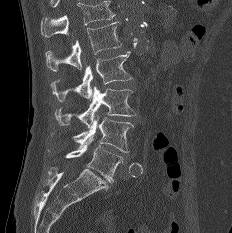

Spine CT · sagittal view · 232x233 px. Boxes: x1:y1:x2:y2 in pixels.
Where the top of the scan cuts through a vertebra, that vertebra gets no label or box.
L1: 45:21:121:71
L2: 50:51:131:101
L3: 55:87:135:128
L4: 54:114:133:152
L5: 65:137:122:183